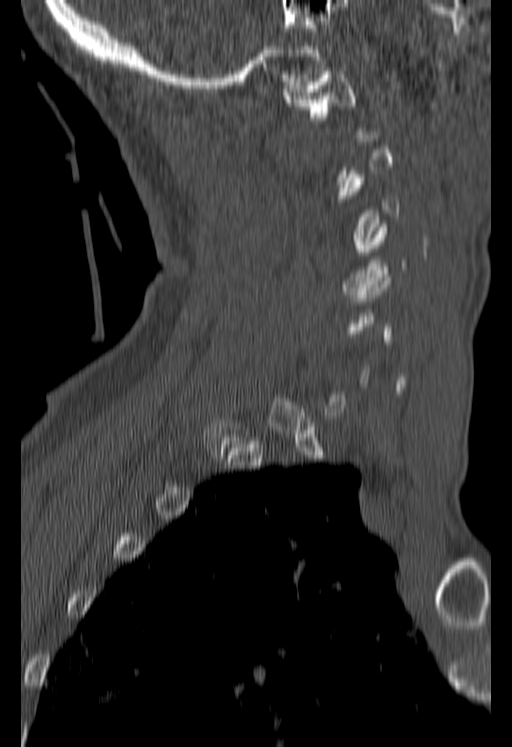

CT — sagittal view. Each box given as x1,y1,x2,y2.
Each vertebra is boxed only on the slices from the first to the last where its cross-section reaches a third of its largest, so a slice outside that range leaves it unboxed.
| vertebra | x1 | y1 | x2 | y2 |
|---|---|---|---|---|
| C1 | 284 | 71 | 361 | 138 |
| C3 | 340 | 171 | 398 | 251 |